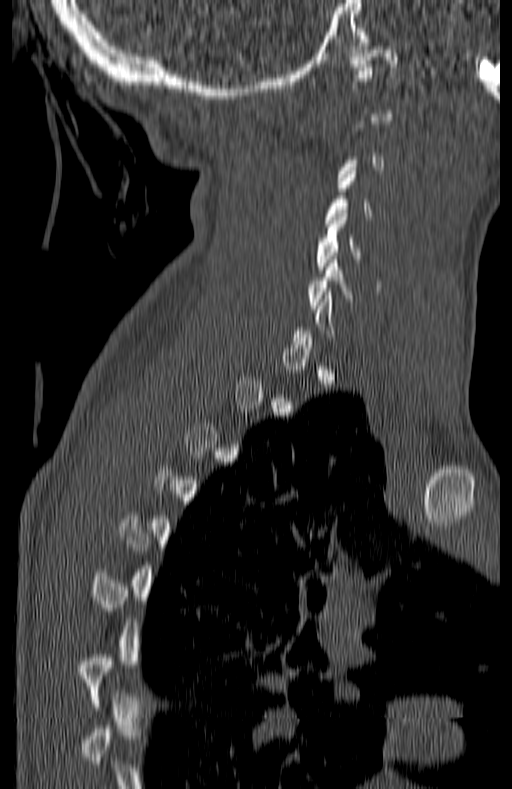
Computed tomography of the spine; the image is 180 mm wide; sagittal reformat
Boxes below are [x1, y1, x2, y2] in pixels.
A vertebra is boxed only from the first to the last slice where its cross-section is at least a third of its largest; slices outside that range leave it without a box.
{"vertebrae":{"C5":[316,210,361,269],"C6":[308,256,353,308]}}